CT — Sagittal slice 256/512 — 12 vertebrae labeled in this scan
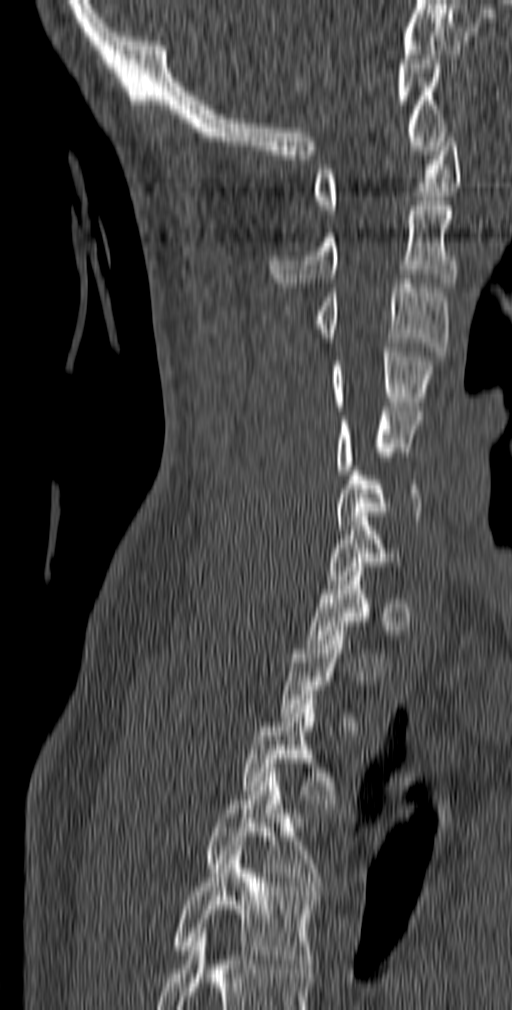
Bounding boxes as [x1, y1, x2, y2] in pixel coordinates.
Each vertebra is boxed only on the slices from the first to the last where its cross-section reaches a third of its largest, so a slice outside that range leaves it unboxed.
C1: [312, 128, 461, 214]
C2: [270, 201, 458, 287]
C3: [312, 279, 449, 356]
C4: [330, 347, 436, 406]
C5: [335, 407, 422, 474]
C6: [334, 466, 421, 529]
C7: [327, 512, 400, 580]
T3: [241, 695, 335, 804]
T4: [206, 773, 322, 890]
T5: [173, 850, 316, 973]